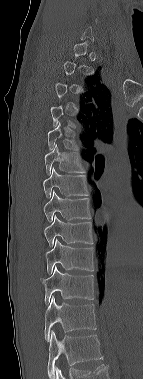

CT, spine · sagittal view · 143 mm across the image · bone window. Each box given as x1,y1,x2,y2.
Each vertebra is boxed only on the slices from the first to the last where its cross-section reaches a third of its largest, so a slice outside that range leaves it unboxed.
Labels in this scan begin with C6 at the top and end with T12 at the bottom.
T5: x1=48, y1=122, x2=79, y2=150
T6: x1=44, y1=144, x2=85, y2=176
T7: x1=43, y1=167, x2=88, y2=198
T8: x1=44, y1=191, x2=91, y2=221
T9: x1=44, y1=215, x2=93, y2=246
T10: x1=45, y1=239, x2=93, y2=274
T11: x1=40, y1=266, x2=94, y2=305
T12: x1=44, y1=296, x2=96, y2=341